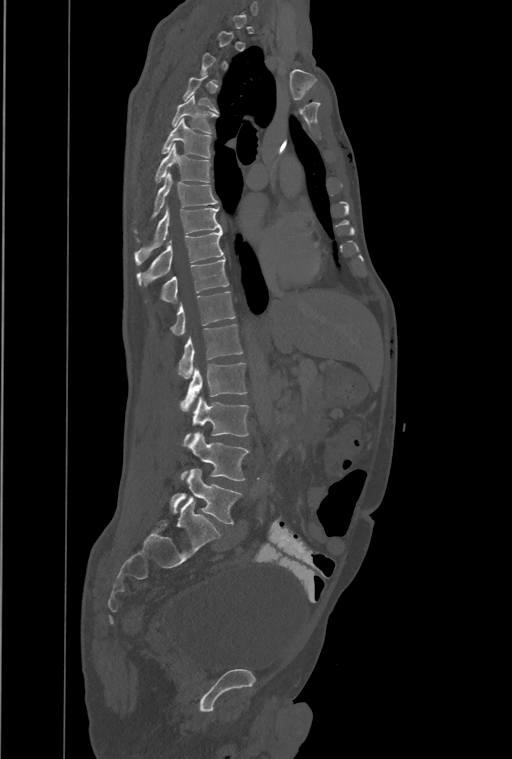 Spine CT; sagittal reformat; 461 mm wide; bone-window reconstruction. Boxes: x1 y1 x2 y2 (pixel coords, space-separated).
A vertebra is boxed only from the first to the last slice where its cross-section is at least a third of its largest; slices outside that range leave it without a box.
Labels in this scan begin with T1 at the top and end with L4 at the bottom.
These labels give the spine a thirteenth thoracic vertebra: T13 sits between T12 and L1.
T4: 183 75 216 110
T5: 172 95 217 133
T6: 162 118 211 157
T7: 155 144 210 183
T8: 153 172 217 216
T9: 135 207 221 264
T10: 136 230 224 286
T11: 161 258 228 301
T12: 170 291 235 335
T13: 178 324 242 378
L1: 181 362 246 411
L2: 185 397 248 440
L3: 181 431 248 480
L4: 171 469 242 524